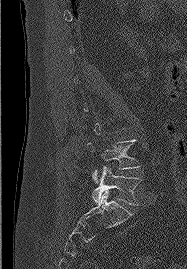 Spine CT — sagittal view — 187x269 px — 187 mm wide. Box edges are left/top/right/bottom in pixels.
Each vertebra is boxed only on the slices from the first to the last where its cross-section reaches a third of its largest, so a slice outside that range leaves it unboxed.
L5: left=92, top=166, right=141, bottom=205
L4: left=87, top=139, right=140, bottom=183